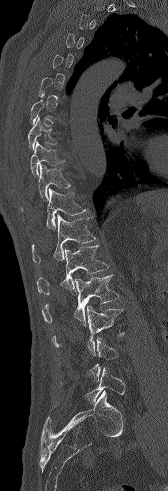 CT spine · sagittal view · Bone window (WL 400, WW 1800)

Each vertebra maps to its box as [x1, y1, x2, y2], the pixel coordinates of its top-left and bottom-right corners.
A vertebra gets a box only on the slices from the first to the last where its cross-section is at least a third of its largest; on a slice outside that range it gets none.
{"vertebrae":{"T8":[27,117,57,149],"T9":[30,140,64,176],"T10":[20,164,71,210],"T11":[46,188,87,229],"T12":[32,214,96,263],"L1":[37,245,108,294],"L2":[42,275,119,325],"L3":[52,305,124,355],"L5":[61,367,125,404]}}